CT spine; Sagittal slice 265/512; 512x640 px
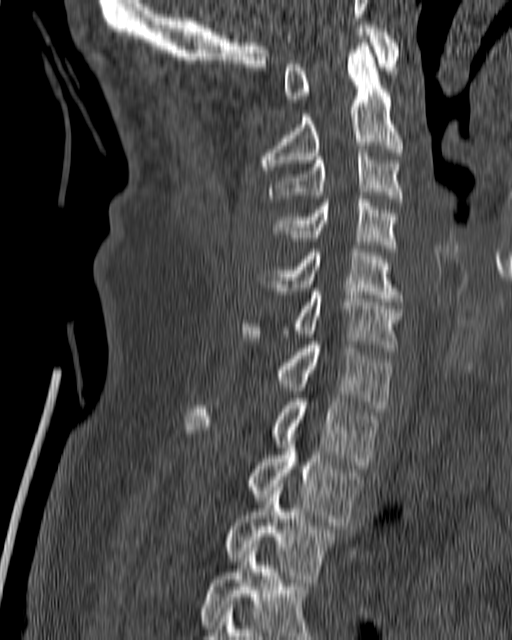
Boxes below are [x1, y1, x2, y2] in pixels.
{"vertebrae":{"T4":[200,544,313,639],"T3":[223,484,338,579],"T2":[246,434,361,525],"T1":[183,398,378,465],"C7":[274,341,392,411],"C6":[241,288,401,347],"C5":[258,245,403,301],"C4":[274,196,398,251],"C3":[269,149,403,202],"C2":[260,36,402,173],"C1":[283,25,400,102]}}